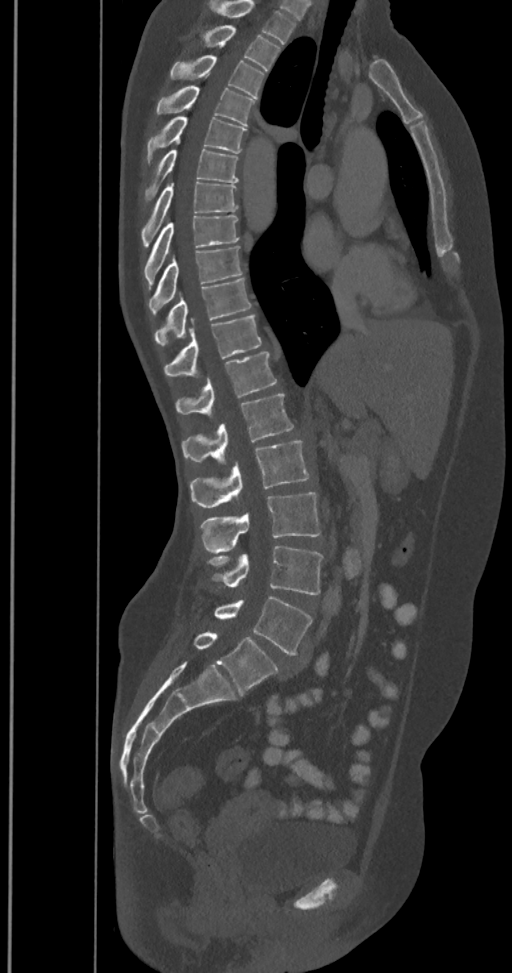 Computed tomography of the spine — sagittal reformat — W/L 1800/400 HU — 512x973 px
Each box given as x1,y1,x2,y2. In this scan, the topmost labeled vertebra is T2 and the lowest is L6. The labels name a sixth lumbar vertebra for this spine: L6, after L5. The labeled vertebrae in this slice are: T2 at x1=203, y1=25, x2=280, y2=71, T3 at x1=169, y1=55, x2=264, y2=99, T4 at x1=156, y1=86, x2=255, y2=125, T5 at x1=146, y1=116, x2=246, y2=162, T6 at x1=146, y1=150, x2=239, y2=199, T7 at x1=142, y1=180, x2=237, y2=247, T8 at x1=145, y1=216, x2=239, y2=285, T9 at x1=149, y1=246, x2=242, y2=314, T10 at x1=155, y1=278, x2=252, y2=347, T11 at x1=164, y1=315, x2=261, y2=377, T12 at x1=175, y1=352, x2=277, y2=415, L1 at x1=181, y1=394, x2=293, y2=462, L2 at x1=190, y1=441, x2=310, y2=507, L3 at x1=202, y1=492, x2=321, y2=552, L4 at x1=209, y1=546, x2=322, y2=594, L5 at x1=215, y1=595, x2=312, y2=655, L6 at x1=194, y1=632, x2=278, y2=695.